CT — Sagittal slice 369/512
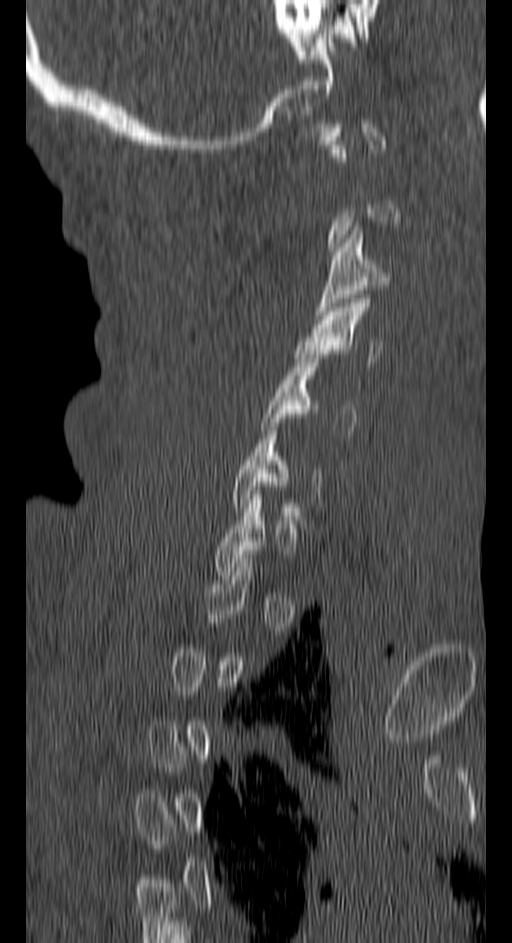 In the table, x1 and y1 are a box's top-left corner and x2 and y2 its bottom-right corner, in pixels.
Not every vertebra on this slice has a box: a vertebra is boxed only from the first to the last slice where its cross-section is at least a third of its largest, and this slice is outside that range for at least one of them.
| vertebra | x1 | y1 | x2 | y2 |
|---|---|---|---|---|
| C3 | 314 | 226 | 389 | 315 |
| C4 | 295 | 299 | 381 | 366 |
| C5 | 261 | 354 | 355 | 434 |